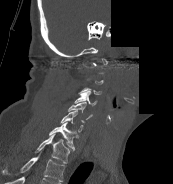

CT spine. sagittal view. a region is blanked to uniform black, ending in a straight edge

Boxes are (x1, y1, x2, y2) in pixels. A vertebra is boxed only from the first to the last slice where its cross-section is at least a third of its largest; slices outside that range leave it without a box. This scan's labels start at C1 at the top and end at T1 at the bottom. The labeled vertebrae in this slice are: C3 at (78, 87, 101, 95), C4 at (74, 91, 97, 105), C5 at (68, 102, 92, 119), C6 at (60, 110, 85, 132), C7 at (49, 122, 78, 150), T1 at (35, 133, 70, 163).